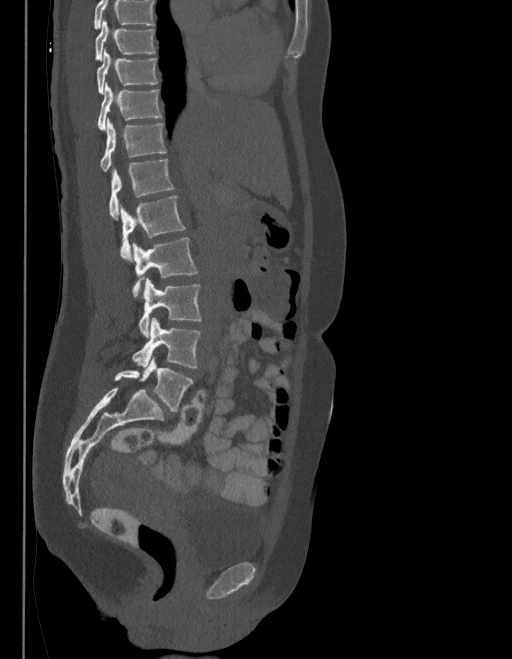 CT, spine; sagittal reformat; Bone window (WL 400, WW 1800)
Each vertebra maps to its box as [x1, y1, x2, y2], the pixel coordinates of its top-left and bottom-right corners.
Where the top of the scan cuts through a vertebra, that vertebra gets no label or box.
The labels name a sixth lumbar vertebra for this spine: L6, after L5.
{"vertebrae":{"L6":[114,359,193,412],"L5":[132,318,201,368],"L4":[138,279,201,337],"L3":[133,237,197,299],"L2":[121,196,186,261],"L1":[109,159,173,220],"T12":[100,120,167,172],"T11":[98,83,161,129],"T10":[96,51,158,94],"T9":[95,21,155,60]}}